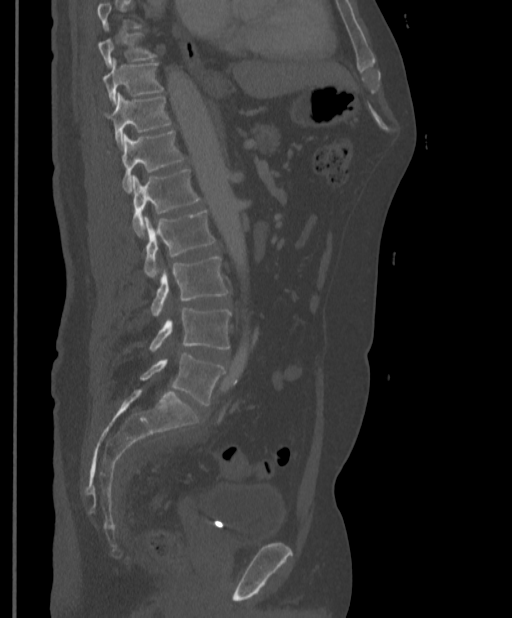

Spine CT · sagittal view

Vertebrae that run past the top of the scan are left unlabeled.
<vertebrae><v name="T9" x1="98" y1="34" x2="154" y2="66"/><v name="T10" x1="102" y1="59" x2="163" y2="103"/><v name="T11" x1="104" y1="93" x2="170" y2="146"/><v name="T12" x1="107" y1="130" x2="183" y2="192"/><v name="L1" x1="131" y1="169" x2="201" y2="236"/><v name="L2" x1="144" y1="210" x2="216" y2="278"/><v name="L3" x1="151" y1="257" x2="228" y2="316"/><v name="L4" x1="149" y1="308" x2="231" y2="351"/><v name="L5" x1="140" y1="353" x2="225" y2="405"/></vertebrae>